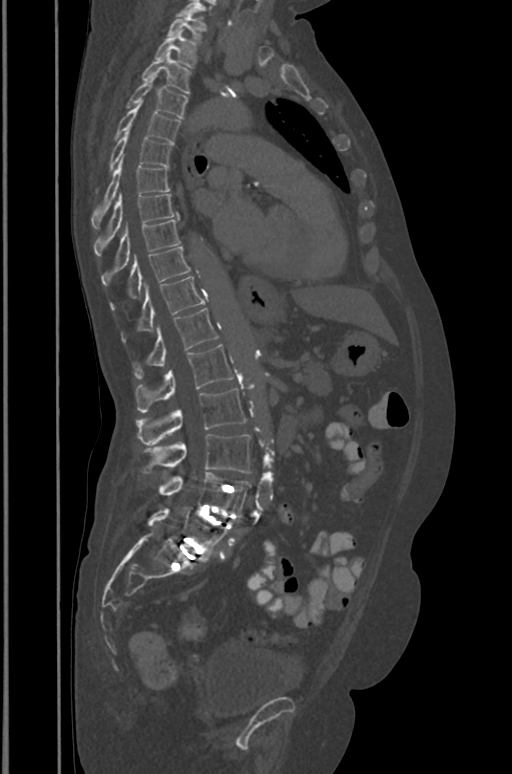 Computed tomography of the spine. sagittal view. Bone window (WL 400, WW 1800)
Box values are [left, top, right, bottom] in pixels.
{"vertebrae":{"T1":[166,12,203,43],"T2":[154,30,197,68],"T3":[141,51,192,92],"T4":[126,75,188,119],"T5":[114,102,180,142],"T6":[96,130,172,195],"T7":[92,160,169,228],"T8":[94,193,177,257],"T9":[102,219,180,285],"T10":[110,247,190,310],"T11":[122,276,205,342],"T12":[134,308,218,379],"L1":[136,344,233,412],"L2":[136,389,245,446],"L3":[141,434,250,473],"L4":[158,472,250,513],"L5":[148,507,227,553]}}